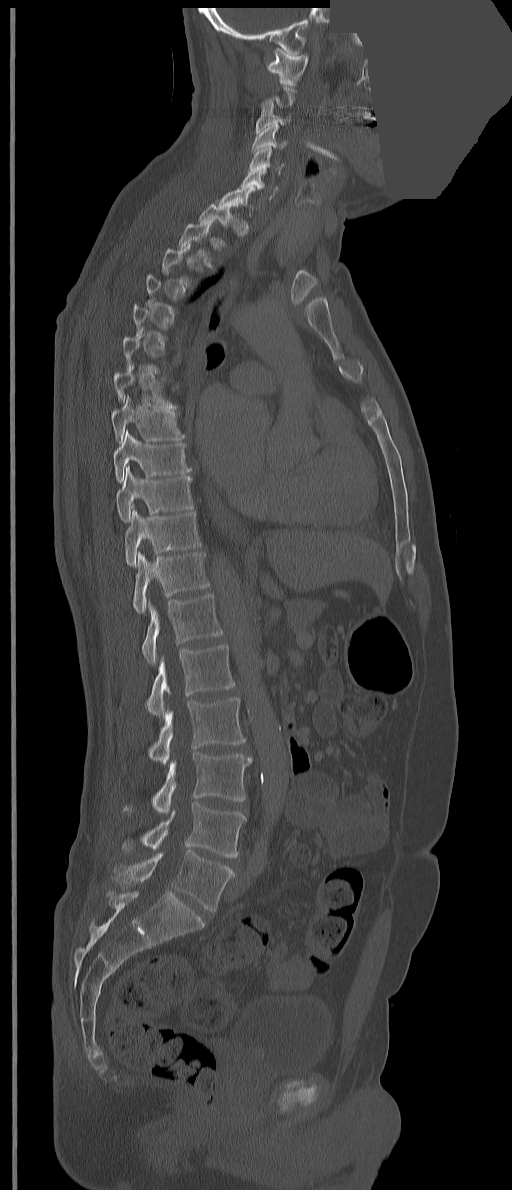

CT · sagittal view · 512x1190 px · some of the image was removed or blocked out with constant pixels
Each vertebra maps to its box as [x1, y1, x2, y2], the pixel coordinates of its top-left and bottom-right corners.
A vertebra is boxed only from the first to the last slice where its cross-section is at least a third of its largest; slices outside that range leave it without a box.
In these labels the spine has a T13, a thirteenth thoracic vertebra, between T12 and L1.
{"vertebrae":{"C1":[267,47,308,86],"C3":[256,107,290,133],"C4":[251,124,287,153],"C5":[250,146,284,175],"C6":[241,168,277,199],"C7":[218,185,255,217],"T2":[178,219,214,268],"T7":[114,364,177,410],"T8":[111,394,184,444],"T9":[114,430,191,482],"T10":[117,466,193,522],"T11":[125,509,201,565],"T12":[133,551,209,613],"T13":[142,594,222,664],"L1":[146,645,234,715],"L2":[148,697,246,765],"L3":[124,753,253,813],"L4":[121,802,246,857],"L5":[111,850,234,911]}}